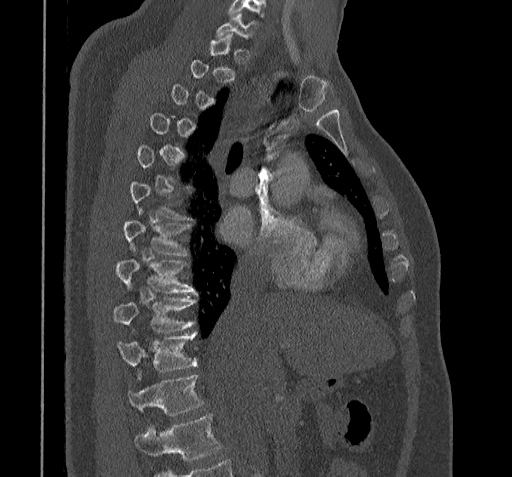
CT spine · the image is 322 mm wide · sagittal view · W/L 1800/400 HU

Each box is [x1, y1, x2, y2] in pixels: top-left corner, then bottom-right corner.
Each vertebra is boxed only on the slices from the first to the last where its cross-section reaches a third of its largest, so a slice outside that range leaves it unboxed.
Where the bottom of the scan cuts through a vertebra, that vertebra gets no label or box.
{"vertebrae":{"C7":[215,13,256,38],"T7":[122,220,188,255],"T8":[116,259,196,292],"T9":[113,296,194,331],"T10":[117,332,197,377],"T11":[128,375,204,415]}}